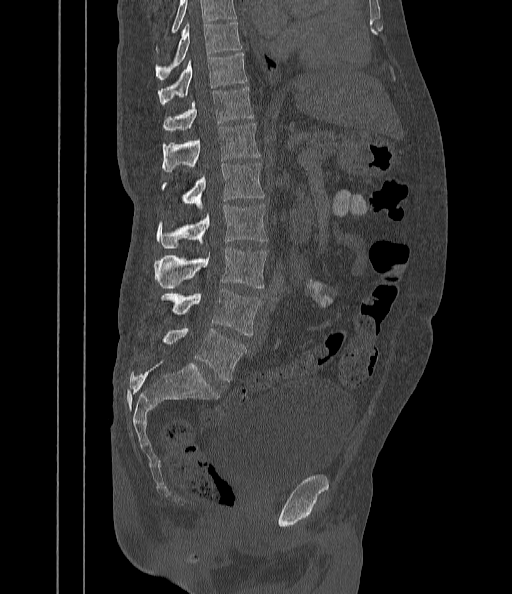 CT, spine — sagittal reformat — 512x594 px
Box edges are left/top/right/bottom in pixels.
Where the top of the scan cuts through a vertebra, that vertebra gets no label or box.
Vertebra bounding boxes:
- T9: left=156, top=23, right=241, bottom=79
- T10: left=159, top=54, right=247, bottom=105
- T11: left=163, top=87, right=253, bottom=131
- T12: left=162, top=123, right=261, bottom=171
- L1: left=161, top=162, right=264, bottom=208
- L2: left=155, top=205, right=268, bottom=247
- L3: left=154, top=247, right=267, bottom=289
- L4: left=153, top=290, right=261, bottom=336
- L5: left=161, top=328, right=246, bottom=381